Spine CT — sagittal view — scan covers 9 annotated vertebrae — image 287 mm wide — a portion of the image is blanked out (constant pixel value)
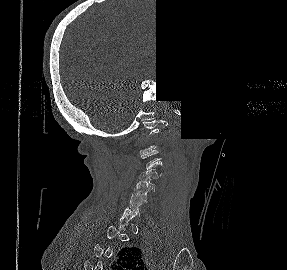 In the table, x1 and y1 are a box's top-left corner and x2 and y2 its bottom-right corner, in pixels.
A vertebra is boxed only from the first to the last slice where its cross-section is at least a third of its largest; slices outside that range leave it without a box.
| vertebra | x1 | y1 | x2 | y2 |
|---|---|---|---|---|
| C1 | 143 | 120 | 167 | 134 |
| C3 | 141 | 150 | 162 | 169 |
| C4 | 138 | 168 | 161 | 180 |
| C5 | 134 | 179 | 155 | 193 |
| C6 | 130 | 191 | 147 | 204 |